CT, spine; sagittal reformat; 613x1182 px; scan covers 16 annotated vertebrae
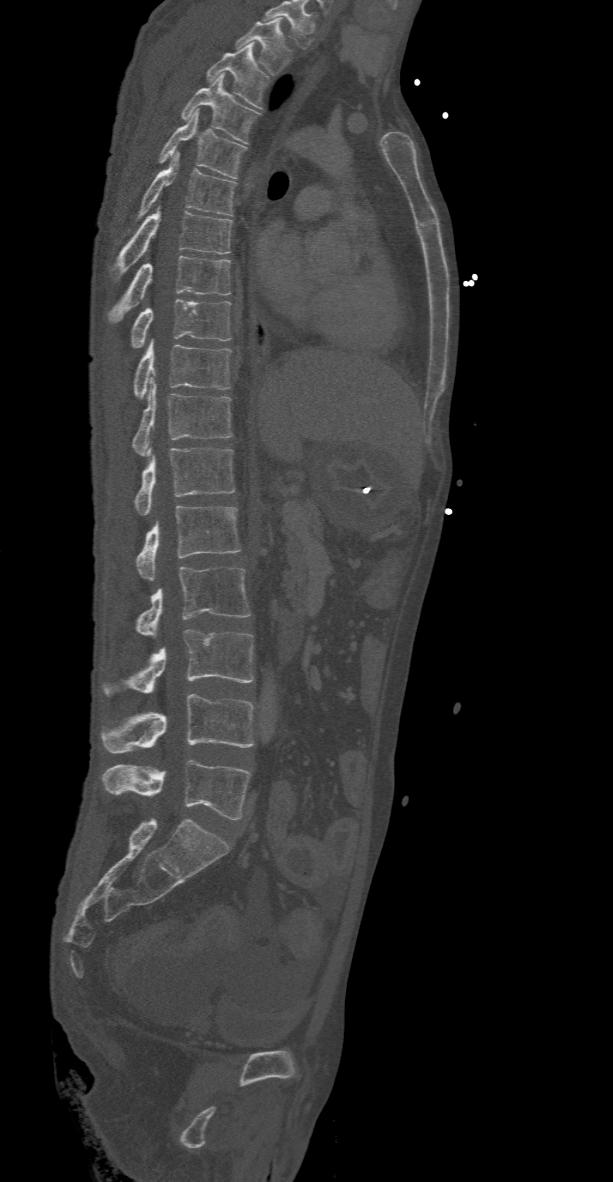 The highest labeled vertebra in this scan is T2; the lowest is L5.
<vertebrae><v name="T2" x1="235" y1="19" x2="291" y2="75"/><v name="T3" x1="205" y1="44" x2="271" y2="110"/><v name="T4" x1="180" y1="73" x2="260" y2="143"/><v name="T5" x1="157" y1="108" x2="246" y2="178"/><v name="T6" x1="116" y1="152" x2="235" y2="243"/><v name="T7" x1="116" y1="207" x2="233" y2="276"/><v name="T8" x1="108" y1="256" x2="230" y2="323"/><v name="T9" x1="132" y1="299" x2="230" y2="348"/><v name="T10" x1="133" y1="339" x2="230" y2="398"/><v name="T11" x1="132" y1="379" x2="233" y2="456"/><v name="T12" x1="134" y1="447" x2="235" y2="515"/><v name="L1" x1="137" y1="506" x2="241" y2="581"/><v name="L2" x1="137" y1="566" x2="251" y2="638"/><v name="L3" x1="102" y1="629" x2="254" y2="695"/><v name="L4" x1="102" y1="694" x2="254" y2="753"/><v name="L5" x1="102" y1="759" x2="251" y2="820"/></vertebrae>